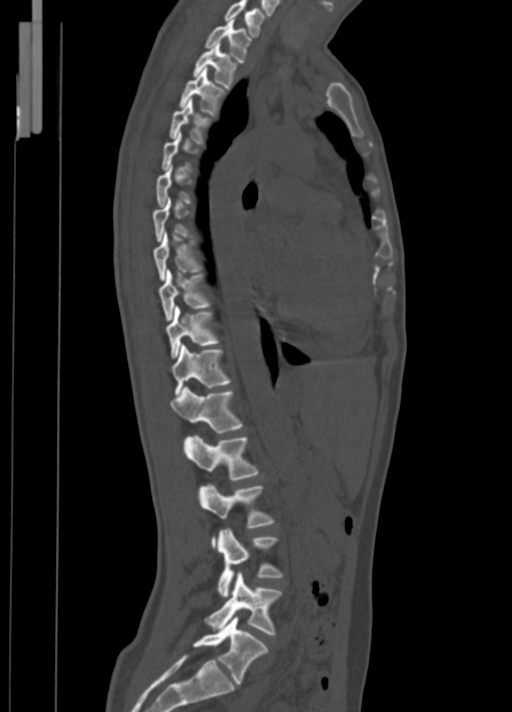

Computed tomography of the spine. sagittal view. Boxes: x1:y1:x2:y2 in pixels.
Each vertebra is boxed only on the slices from the first to the last where its cross-section reaches a third of its largest, so a slice outside that range leaves it unboxed.
C7: 224:0:265:36
T1: 205:19:250:62
T2: 193:42:236:88
T3: 180:67:226:115
T4: 169:99:211:144
T8: 153:231:202:280
T9: 159:269:211:321
T10: 167:306:220:357
T11: 171:344:230:394
T12: 169:386:243:433
L1: 184:434:258:480
L2: 199:484:274:546
L3: 218:528:283:597
L4: 205:572:281:635
L5: 193:616:268:684